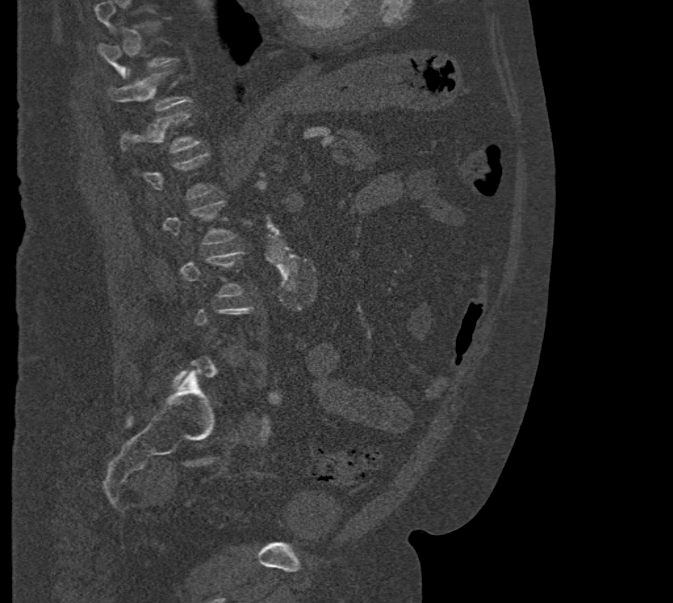 Spine computed tomography; sagittal view
Boxes are given in columns x1, y1, x2, y2, the pixel coordinates of their top-left and bottom-right corners.
Not every vertebra on this slice has a box: a vertebra is boxed only from the first to the last slice where its cross-section is at least a third of its largest, and this slice is outside that range for at least one of them.
| vertebra | x1 | y1 | x2 | y2 |
|---|---|---|---|---|
| T12 | 120 | 112 | 200 | 152 |
| T11 | 109 | 69 | 191 | 111 |